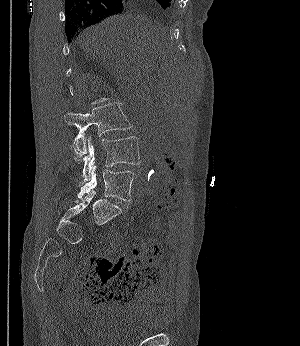 CT spine — sagittal reformat

Columns x1, y1, x2, y2 give each box's top-left and bottom-right pixels.
Each vertebra is boxed only on the slices from the first to the last where its cross-section reaches a third of its largest, so a slice outside that range leaves it unboxed.
| vertebra | x1 | y1 | x2 | y2 |
|---|---|---|---|---|
| L5 | 77 | 166 | 136 | 201 |
| L4 | 71 | 136 | 140 | 182 |
| L3 | 65 | 102 | 131 | 157 |